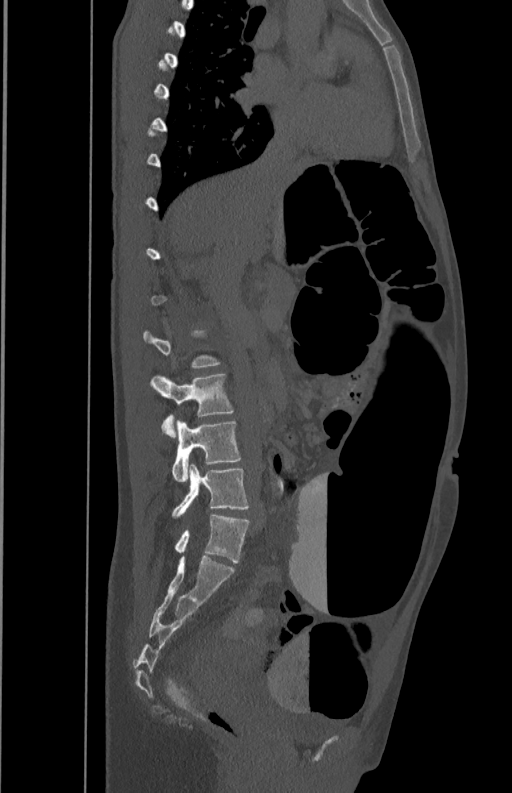

Spine CT; sagittal reformat; image width 350 mm

Boxes are given in columns x1, y1, x2, y2, the pixel coordinates of their top-left and bottom-right corners.
Not every vertebra on this slice has a box: a vertebra is boxed only from the first to the last slice where its cross-section is at least a third of its largest, and this slice is outside that range for at least one of them.
| vertebra | x1 | y1 | x2 | y2 |
|---|---|---|---|---|
| L5 | 171 | 463 | 249 | 516 |
| L4 | 171 | 421 | 242 | 481 |
| L3 | 150 | 373 | 234 | 437 |